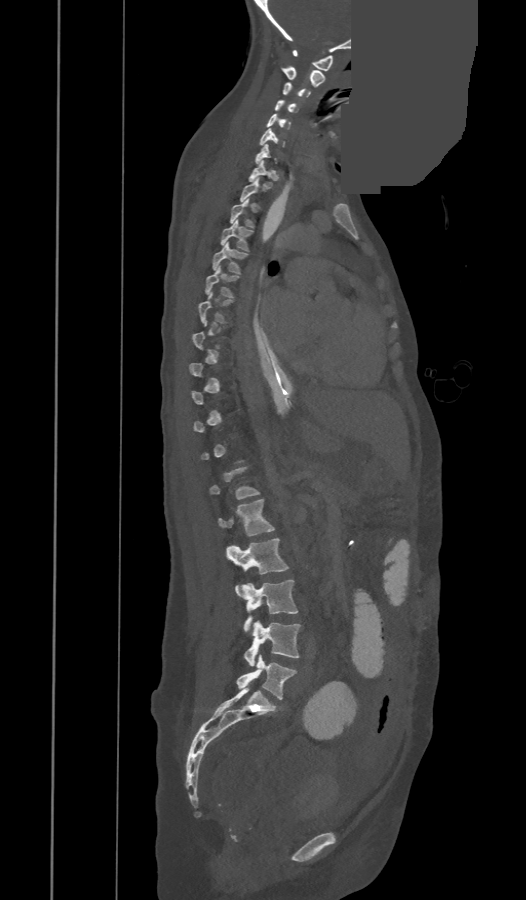
Computed tomography of the spine — sagittal view — 526x900 px — the image spans 473 mm across — a uniform gray block covers part of the image
Boxes: x1:y1:x2:y2 in pixels.
A vertebra gets a box only on the slices from the first to the last where its cross-section is at least a third of its largest; on a slice outside that range it gets none.
These labels give the spine a thirteenth thoracic vertebra: T13 sits between T12 and L1.
L5: 237:655:296:699
L4: 243:621:300:666
L3: 243:580:298:631
L2: 226:538:287:595
L1: 219:499:274:536
T13: 208:467:259:499
T7: 199:292:232:322
T6: 205:266:239:297
T5: 212:242:247:274
T4: 220:219:253:250
T3: 230:198:254:227
T2: 240:178:265:201
T1: 248:160:274:181
C7: 256:143:277:164
C6: 260:128:284:146
C5: 267:113:291:129
C4: 274:100:297:112
C3: 282:82:310:99
C2: 281:66:324:87
C1: 292:50:333:70